Computed tomography of the spine — sagittal view
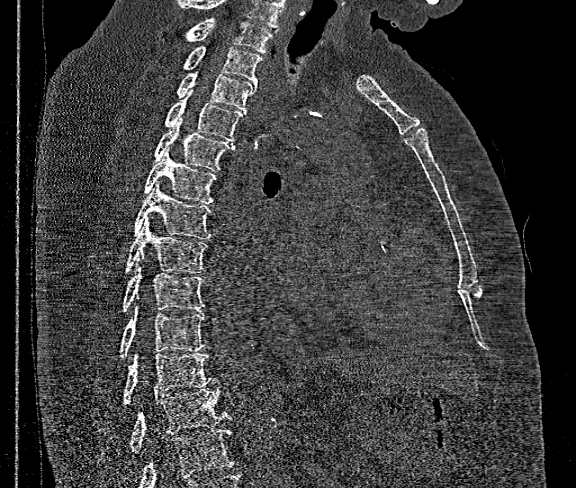

Coordinates as <box>x1,y1,x2,y2</box>.
Where the bottom of the scan cuts through a vertebra, that vertebra gets no label or box.
The highest labeled vertebra in this scan is T1; the lowest is T12.
Vertebra bounding boxes:
- T12: <box>129,388,231,454</box>
- T11: <box>123,354,215,406</box>
- T10: <box>119,303,205,359</box>
- T9: <box>123,259,205,311</box>
- T8: <box>125,217,208,273</box>
- T7: <box>134,182,212,238</box>
- T6: <box>144,148,216,204</box>
- T5: <box>153,117,234,171</box>
- T4: <box>164,95,245,140</box>
- T3: <box>178,72,257,113</box>
- T2: <box>182,47,262,83</box>
- T1: <box>186,18,272,52</box>